Computed tomography of the spine — sagittal reformat — 795x993 px
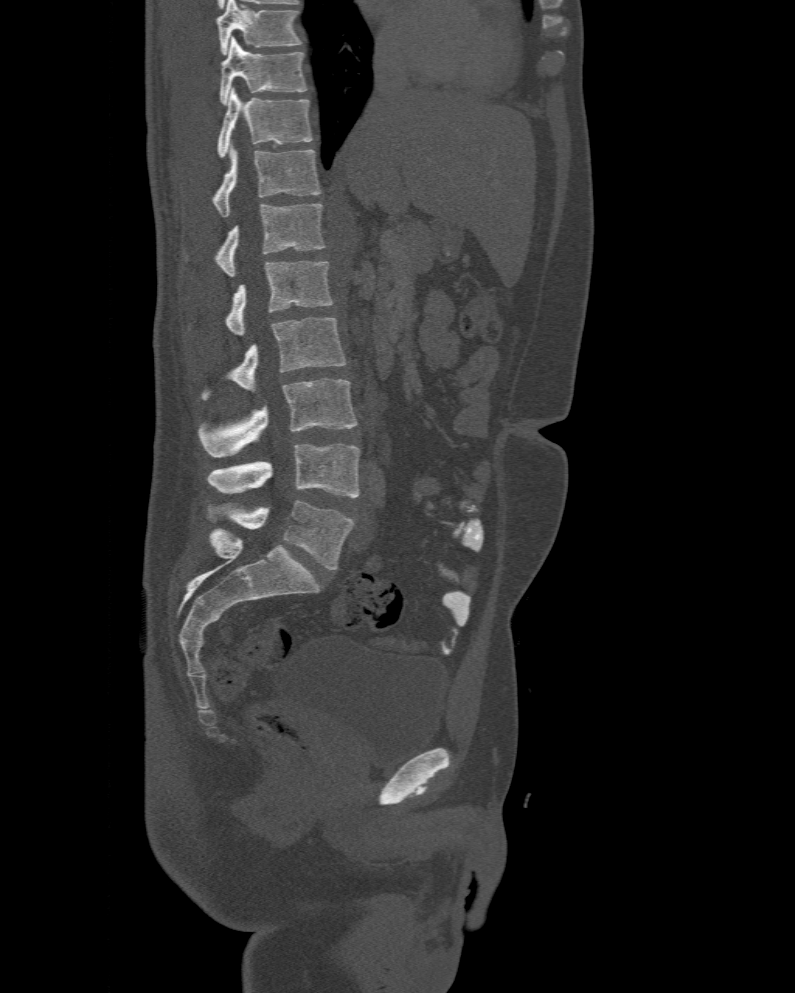

Box edges are left/top/right/bottom in pixels.
Labels in this scan begin with T10 at the top and end with L6 at the bottom.
These labels give the spine a sixth lumbar vertebra, L6, below L5.
T10: left=220, top=37, right=308, bottom=104
T11: left=217, top=88, right=313, bottom=157
T12: left=211, top=144, right=320, bottom=216
L1: left=213, top=203, right=325, bottom=276
L2: left=225, top=262, right=334, bottom=335
L3: left=202, top=317, right=345, bottom=399
L4: left=199, top=378, right=358, bottom=457
L5: left=207, top=443, right=359, bottom=497
L6: left=210, top=500, right=355, bottom=569